CT, spine. sagittal view
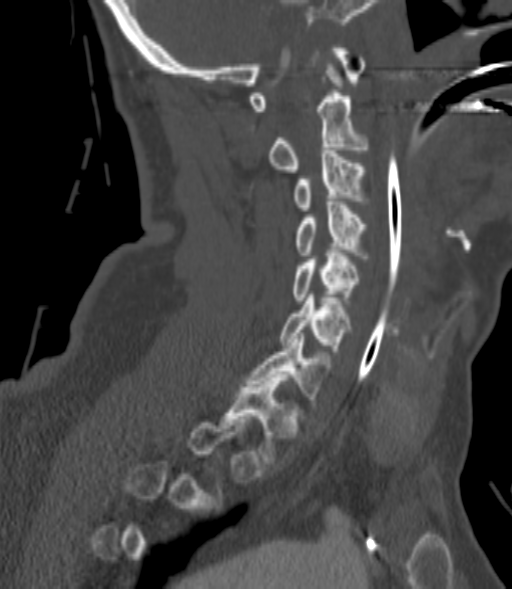
Boxes: x1:y1:x2:y2 in pixels.
A vertebra gets a box only on the slices from the first to the last where its cross-section is at least a third of its largest; on a slice outside that range it gets none.
Vertebra bounding boxes:
- C2: 270:70:366:172
- C3: 295:150:363:210
- C4: 295:202:366:258
- C5: 293:250:358:303
- C6: 280:294:348:351
- C7: 247:333:327:402
- T1: 224:378:297:460